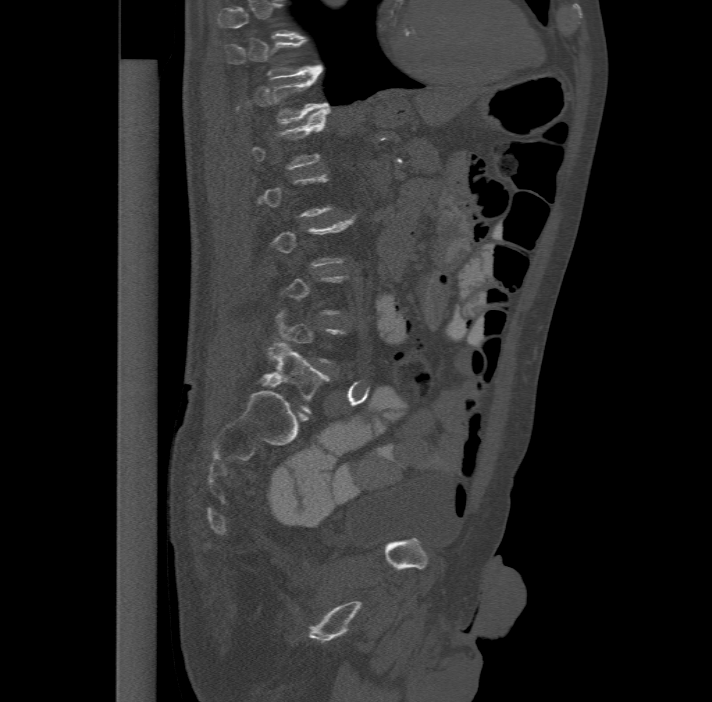
Computed tomography of the spine. sagittal reformat. 712x702 px

Bounding boxes as [x1, y1, x2, y2] in pixel coordinates. A vertebra gets a box only on the slices from the first to the last where its cross-section is at least a third of its largest; on a slice outside that range it gets none. This scan's labels start at T11 at the top and end at L6 at the bottom. The labels name a sixth lumbar vertebra for this spine: L6, after L5. Vertebrae labeled: L6 at [260, 342, 329, 413], L1 at [250, 109, 329, 167], T12 at [236, 71, 329, 123], T11 at [225, 39, 323, 78].